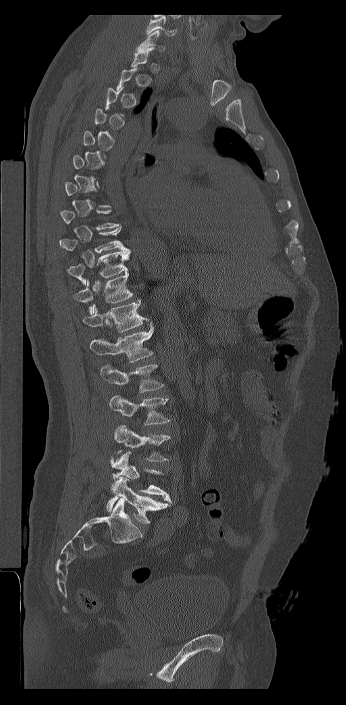
CT — sagittal view — 346x705 px. Boxes: x1:y1:x2:y2 in pixels.
Each vertebra is boxed only on the slices from the first to the last where its cross-section reaches a third of its largest, so a slice outside that range leaves it unboxed.
Labels in this scan begin with C7 at the top and end with L6 at the bottom.
The labels name a sixth lumbar vertebra for this spine: L6, after L5.
C7: 137:30:165:51
T9: 59:226:125:252
T10: 67:248:130:285
T11: 74:272:133:314
T12: 83:299:148:332
L1: 90:322:153:362
L2: 100:363:164:392
L3: 109:395:170:425
L4: 114:425:170:461
L5: 110:451:170:501
L6: 106:477:171:524